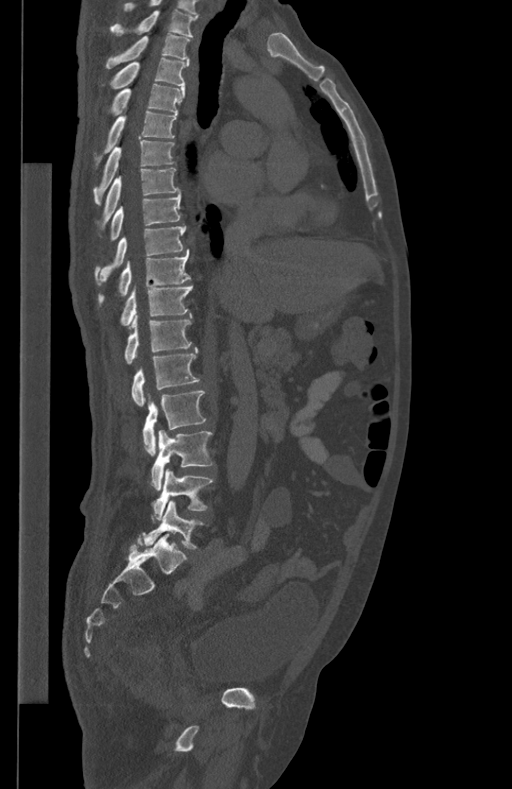
Computed tomography of the spine — sagittal reformat — bone-window reconstruction. Boxes: x1:y1:x2:y2 in pixels.
Vertebra bounding boxes:
- L5: 144:500:203:548
- L4: 151:469:212:521
- L3: 151:430:214:490
- L2: 143:390:205:454
- L1: 132:348:199:407
- T12: 125:313:192:363
- T11: 120:286:192:326
- T10: 98:252:190:303
- T9: 94:226:185:285
- T8: 111:191:181:240
- T7: 101:167:179:226
- T6: 93:140:175:204
- T5: 94:110:177:164
- T4: 108:84:184:115
- T3: 110:57:189:88
- T2: 106:34:190:68
- T1: 110:10:198:36